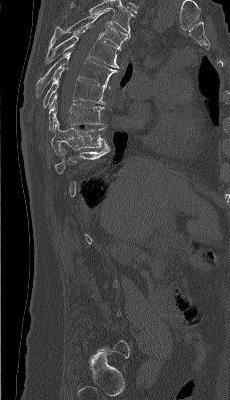
Spine CT — sagittal view — bone-window reconstruction

Box edges are left/top/right/bottom in pixels.
Not every vertebra on this slice has a box: a vertebra is boxed only from the first to the last slice where its cross-section is at least a third of its largest, and this slice is outside that range for at least one of them.
| vertebra | x1 | y1 | x2 | y2 |
|---|---|---|---|---|
| T4 | 47 | 9 | 130 | 50 |
| T5 | 45 | 26 | 120 | 68 |
| T6 | 35 | 50 | 117 | 99 |
| T7 | 43 | 66 | 105 | 108 |
| T8 | 49 | 94 | 104 | 130 |
| T9 | 51 | 119 | 107 | 154 |